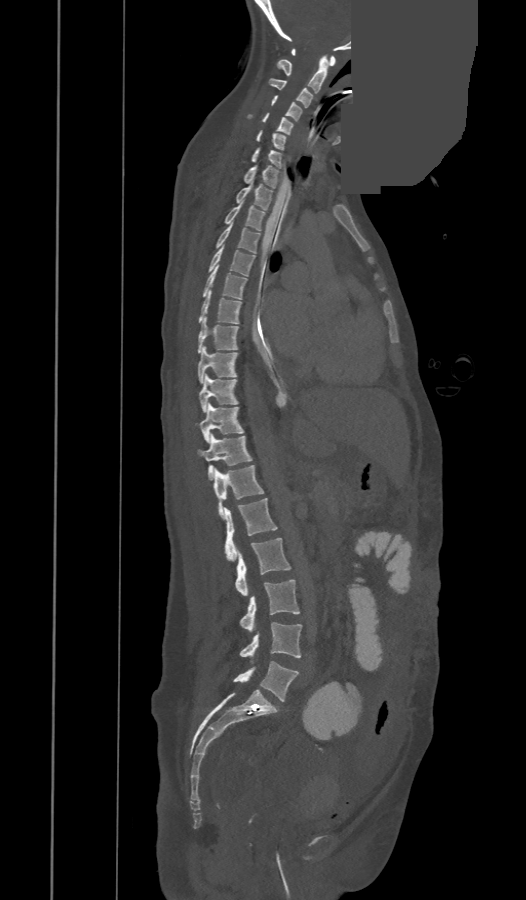
CT. image 473 mm wide. sagittal reformat. bone-window reconstruction. an area of the scan was removed and filled with constant pixels

The labels name an extra thoracic vertebra here, T13, which comes after T12 and before L1.
<vertebrae><v name="L5" x1="233" y1="661" x2="298" y2="701"/><v name="L4" x1="240" y1="622" x2="301" y2="662"/><v name="L3" x1="240" y1="579" x2="299" y2="631"/><v name="L2" x1="234" y1="538" x2="291" y2="596"/><v name="L1" x1="225" y1="498" x2="277" y2="561"/><v name="T13" x1="214" y1="465" x2="264" y2="517"/><v name="T12" x1="198" y1="435" x2="252" y2="479"/><v name="T11" x1="199" y1="403" x2="243" y2="442"/><v name="T10" x1="199" y1="376" x2="238" y2="411"/><v name="T9" x1="198" y1="347" x2="237" y2="383"/><v name="T8" x1="198" y1="317" x2="238" y2="353"/><v name="T7" x1="199" y1="290" x2="241" y2="324"/><v name="T6" x1="202" y1="265" x2="246" y2="299"/><v name="T5" x1="208" y1="245" x2="255" y2="276"/><v name="T4" x1="216" y1="222" x2="260" y2="252"/><v name="T3" x1="225" y1="201" x2="265" y2="230"/><v name="T2" x1="237" y1="181" x2="272" y2="209"/><v name="T1" x1="244" y1="165" x2="278" y2="188"/><v name="C7" x1="253" y1="148" x2="281" y2="168"/><v name="C6" x1="257" y1="130" x2="285" y2="149"/><v name="C5" x1="247" y1="113" x2="293" y2="135"/><v name="C4" x1="271" y1="96" x2="301" y2="120"/><v name="C3" x1="269" y1="79" x2="312" y2="107"/><v name="C2" x1="278" y1="56" x2="329" y2="92"/><v name="C1" x1="292" y1="49" x2="335" y2="66"/></vertebrae>